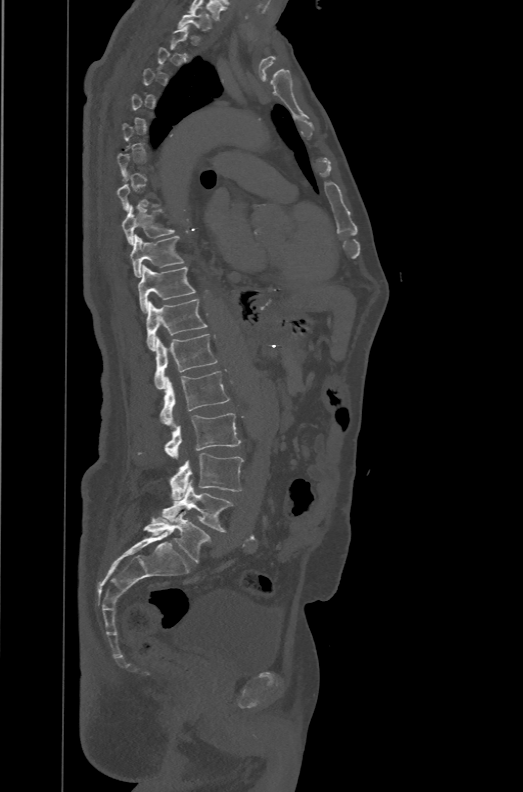

Computed tomography of the spine — sagittal view — the image is 471 mm wide — bone window
Bounding boxes as [x1, y1, x2, y2] in pixel coordinates.
Each vertebra is boxed only on the slices from the first to the last where its cross-section reaches a third of its largest, so a slice outside that range leaves it unboxed.
These labels give the spine a sixth lumbar vertebra, L6, below L5.
T1: [178, 10, 212, 30]
T9: [121, 205, 174, 245]
T10: [130, 234, 183, 277]
T11: [138, 264, 194, 314]
T12: [145, 299, 206, 351]
L1: [154, 334, 217, 389]
L2: [159, 371, 229, 427]
L3: [165, 413, 240, 459]
L4: [170, 453, 243, 500]
L5: [161, 480, 233, 531]
L6: [143, 511, 210, 562]